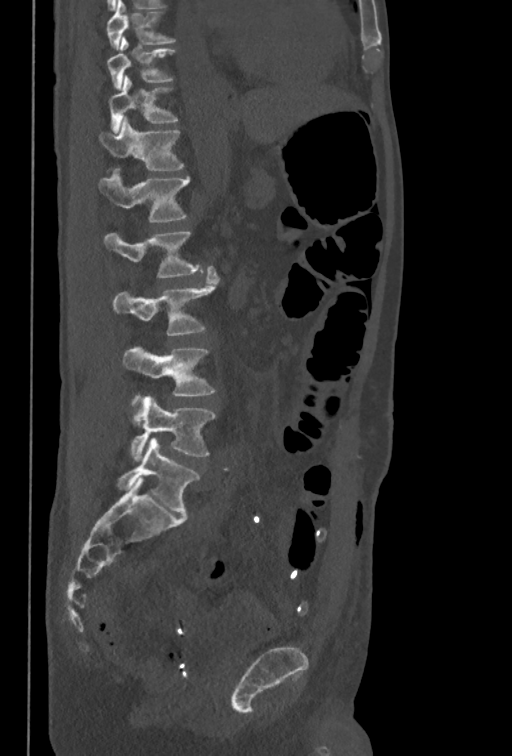

CT · sagittal view · 512x756 px · image width 350 mm
Boxes below are [x1, y1, x2, y2] in pixels.
The highest labeled vertebra in this scan is T10; the lowest is L5.
{"vertebrae":{"T10":[108,37,176,90],"T11":[109,75,179,133],"T12":[98,117,185,170],"L1":[99,172,189,222],"L2":[104,230,202,277],"L3":[112,266,219,335],"L4":[123,346,215,406],"L5":[130,396,215,461]}}